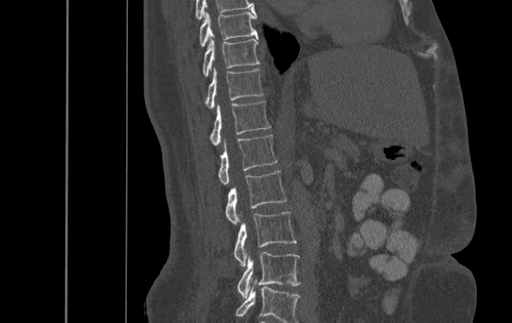

Spine computed tomography — sagittal view — W/L 1800/400 HU. Box edges are left/top/right/bottom in pixels.
Labels in this scan begin with T9 at the top and end with L4 at the bottom.
| vertebra | x1 | y1 | x2 | y2 |
|---|---|---|---|---|
| L4 | 238 | 252 | 300 | 299 |
| L3 | 234 | 212 | 296 | 266 |
| L2 | 225 | 170 | 287 | 224 |
| L1 | 218 | 135 | 276 | 184 |
| T12 | 210 | 101 | 270 | 145 |
| T11 | 205 | 67 | 263 | 109 |
| T10 | 203 | 37 | 259 | 76 |
| T9 | 200 | 11 | 257 | 46 |